Spine CT — sagittal view — bone-window reconstruction
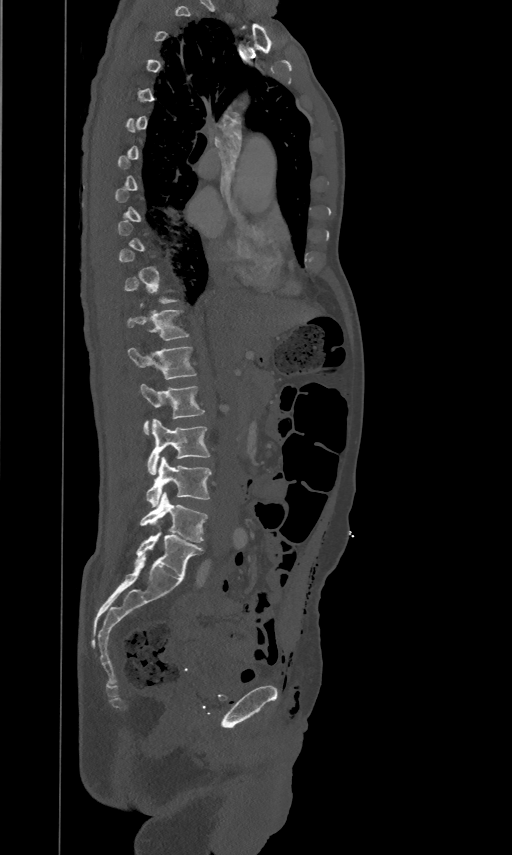

Bounding boxes as [x1, y1, x2, y2] in pixel coordinates.
Not every vertebra on this slice has a box: a vertebra is boxed only from the first to the last slice where its cross-section is at least a third of its largest, and this slice is outside that range for at least one of them.
T12: [126, 309, 188, 339]
L1: [128, 345, 195, 379]
L2: [140, 383, 203, 434]
L3: [147, 417, 210, 474]
L4: [146, 456, 211, 507]
L5: [140, 492, 206, 542]